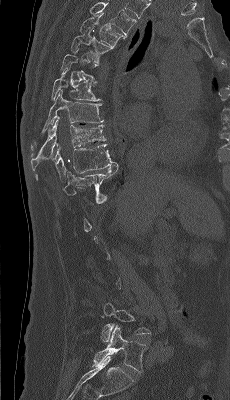
CT spine. sagittal view. Bone window (WL 400, WW 1800). 230 mm wide

Bounding boxes as [x1, y1, x2, y2] in pixel coordinates.
Not every vertebra on this slice has a box: a vertebra is boxed only from the first to the last slice where its cross-section is at least a third of its largest, and this slice is outside that range for at least one of them.
The highest labeled vertebra in this scan is T4; the lowest is L5.
Vertebra bounding boxes:
- T4: [80, 13, 126, 48]
- T5: [70, 27, 113, 63]
- T7: [52, 70, 100, 101]
- T8: [31, 90, 103, 150]
- T9: [31, 116, 106, 170]
- T10: [36, 143, 116, 182]
- T11: [62, 163, 118, 195]
- L4: [99, 303, 150, 342]
- L5: [93, 325, 147, 372]